CT — Sagittal slice 228/512 — bone-window reconstruction — image 408 mm wide — scan covers 11 annotated vertebrae
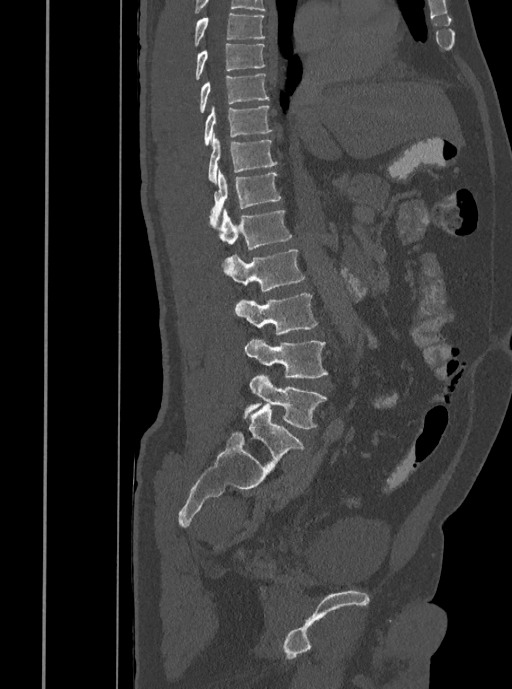 Each box given as x1,y1,x2,y2.
| vertebra | x1 | y1 | x2 | y2 |
|---|---|---|---|---|
| L5 | 243 | 374 | 326 | 428 |
| L4 | 245 | 339 | 328 | 378 |
| L3 | 235 | 293 | 318 | 334 |
| L2 | 223 | 248 | 305 | 292 |
| L1 | 217 | 209 | 291 | 250 |
| T12 | 209 | 169 | 281 | 227 |
| T11 | 208 | 136 | 277 | 183 |
| T10 | 204 | 105 | 272 | 145 |
| T9 | 198 | 73 | 269 | 113 |
| T8 | 194 | 44 | 265 | 79 |
| T7 | 193 | 12 | 265 | 46 |